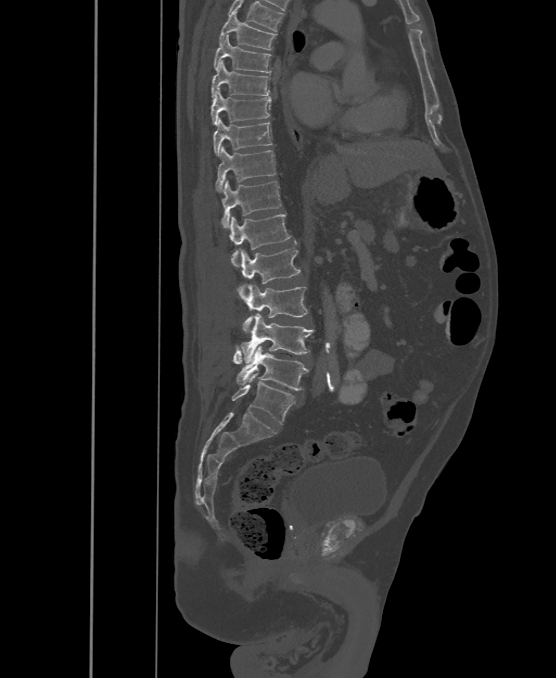 CT, spine. sagittal reformat. 556x678 px

In the table, x1 and y1 are a box's top-left corner and x2 and y2 its bottom-right corner, in pixels.
These labels give the spine a sixth lumbar vertebra, L6, below L5.
| vertebra | x1 | y1 | x2 | y2 |
|---|---|---|---|---|
| L6 | 232 | 373 | 294 | 424 |
| L5 | 233 | 346 | 309 | 390 |
| L4 | 240 | 314 | 314 | 363 |
| L3 | 237 | 284 | 307 | 330 |
| L2 | 240 | 248 | 300 | 284 |
| L1 | 228 | 213 | 290 | 266 |
| T12 | 221 | 180 | 281 | 227 |
| T11 | 216 | 146 | 276 | 192 |
| T10 | 214 | 118 | 272 | 155 |
| T9 | 212 | 91 | 270 | 125 |
| T8 | 212 | 61 | 269 | 96 |
| T7 | 214 | 35 | 270 | 73 |
| T6 | 219 | 10 | 276 | 49 |